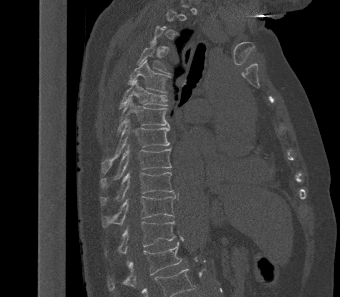 Computed tomography of the spine · sagittal view · 340x297 px
Boxes: x1:y1:x2:y2 in pixels.
Not every vertebra on this slice has a box: a vertebra is boxed only from the first to the last slice where its cross-section is at least a third of its largest, and this slice is outside that range for at least one of them.
Vertebra bounding boxes:
- L1: 108:241:181:290
- T12: 106:221:175:255
- T11: 101:195:176:227
- T10: 100:172:173:205
- T9: 100:146:171:188
- T8: 102:119:170:172
- T7: 117:97:169:132
- T6: 119:79:167:109
- T5: 127:59:169:93
- T4: 137:43:169:73